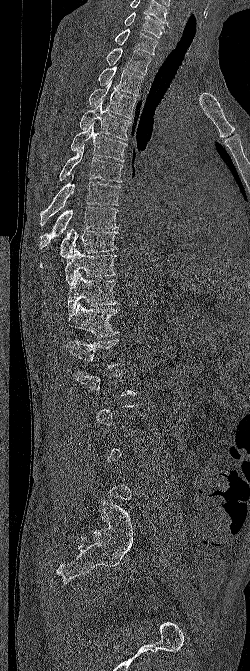

CT · sagittal reformat · bone window
Coordinates as <box>x1,y1,x2,y2</box>.
A vertebra is boxed only from the first to the last slice where its cross-section is at least a third of its largest; slices outside that range leave it without a box.
The highest labeled vertebra in this scan is C6; the lowest is L5.
L1: <box>66,339,120,368</box>
T12: <box>67,303,119,337</box>
T11: <box>67,272,119,313</box>
T10: <box>64,249,116,285</box>
T9: <box>40,226,118,267</box>
T8: <box>39,206,118,249</box>
T7: <box>40,172,120,226</box>
T6: <box>59,143,122,182</box>
T5: <box>70,122,127,162</box>
T4: <box>79,101,132,140</box>
T3: <box>88,81,136,119</box>
T2: <box>98,66,143,95</box>
T1: <box>106,47,151,74</box>
C7: <box>115,28,157,55</box>
C6: <box>124,12,170,37</box>